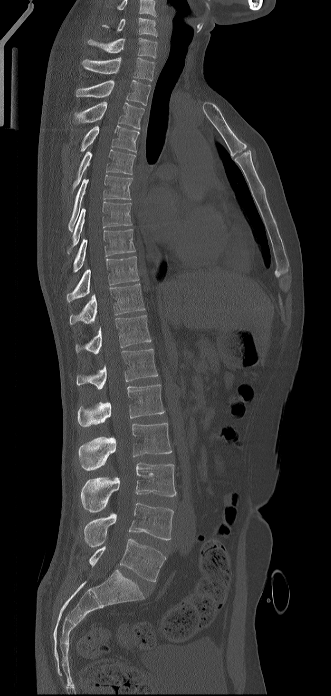
CT, spine · sagittal reformat · W/L 1800/400 HU · image 331 mm wide · 331x696 px. Coordinates as <box>x1,y1,x2,y2</box>. This scan's labels start at C6 at the top and end at L5 at the bottom. 19 vertebrae labeled — C6 at <box>101,17,157,36</box>; C7 at <box>87,38,157,57</box>; T1 at <box>82,57,154,81</box>; T2 at <box>76,80,150,105</box>; T3 at <box>75,101,144,129</box>; T4 at <box>81,125,139,153</box>; T5 at <box>71,149,135,194</box>; T6 at <box>68,174,132,233</box>; T7 at <box>67,201,131,254</box>; T8 at <box>73,229,135,272</box>; T9 at <box>66,256,138,302</box>; T10 at <box>69,283,144,325</box>; T11 at <box>76,315,151,354</box>; T12 at <box>76,348,157,389</box>; L1 at <box>77,384,164,426</box>; L2 at <box>78,423,171,470</box>; L3 at <box>81,463,176,512</box>; L4 at <box>84,503,173,547</box>; L5 at <box>89,539,166,582</box>.